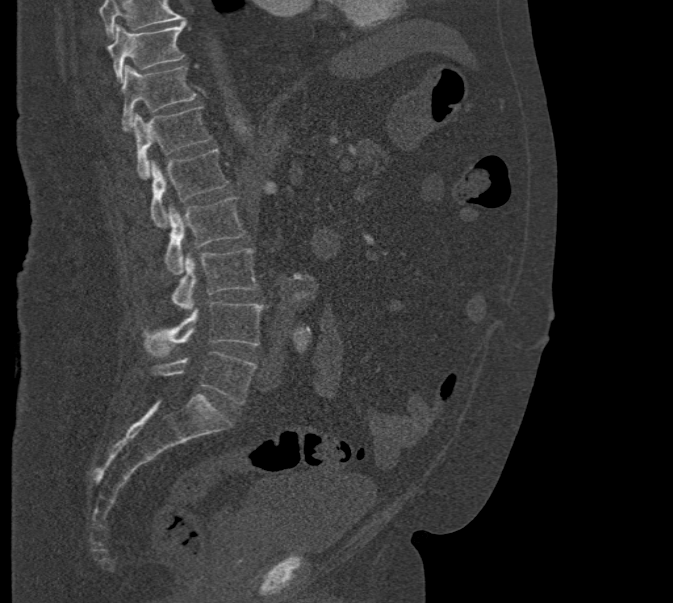
Spine computed tomography — sagittal reformat
No box is given to a vertebra that the top edge of the scan cuts off.
<vertebrae><v name="L5" x1="151" y1="352" x2="257" y2="404"/><v name="L4" x1="143" y1="302" x2="263" y2="357"/><v name="L3" x1="171" y1="249" x2="258" y2="309"/><v name="L2" x1="164" y1="198" x2="245" y2="274"/><v name="L1" x1="150" y1="149" x2="229" y2="227"/><v name="T12" x1="133" y1="106" x2="212" y2="178"/><v name="T11" x1="121" y1="65" x2="196" y2="131"/><v name="T10" x1="106" y1="22" x2="184" y2="82"/></vertebrae>